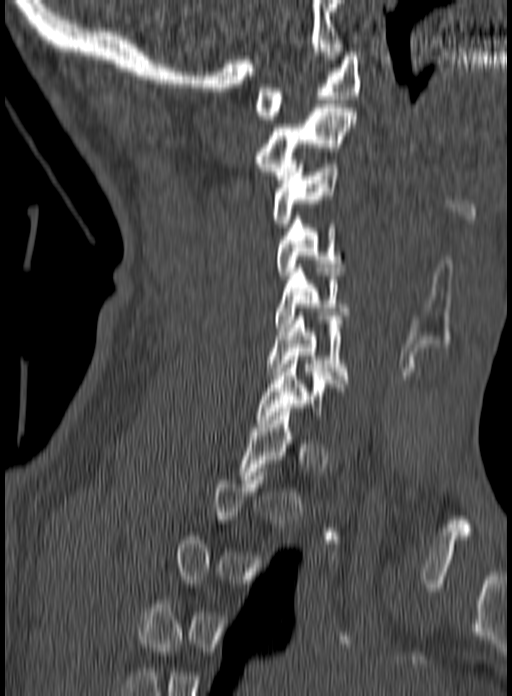 CT, spine; sagittal view; W/L 1800/400 HU; 512x696 px; image width 160 mm
Boxes: x1 y1 x2 y2 (pixel coords, space-separated).
Each vertebra is boxed only on the slices from the first to the last where its cross-section reaches a third of its largest, so a slice outside that range leaves it unboxed.
Vertebra bounding boxes:
- C1: 254 52 362 119
- C2: 254 104 355 183
- C3: 273 160 339 227
- C4: 276 216 344 279
- C5: 276 264 350 331
- C6: 266 316 354 383